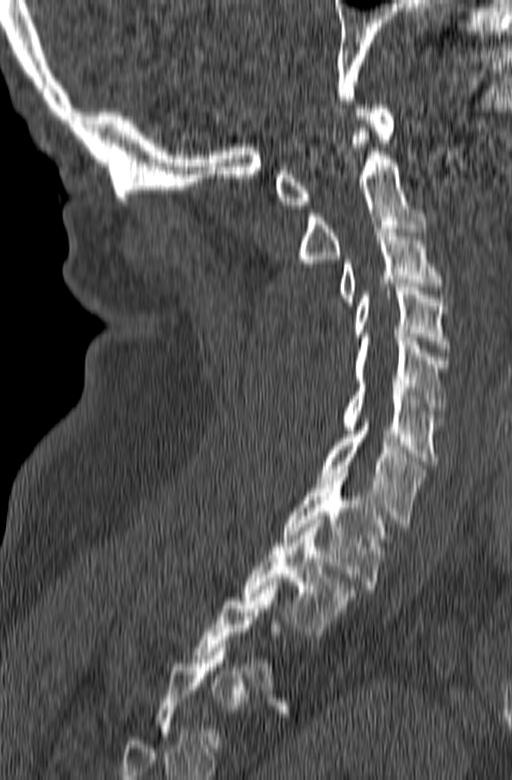

CT · image 165 mm wide · sagittal view · bone-window reconstruction. Boxes: x1 y1 x2 y2 (pixel coords, space-separated).
Not every vertebra on this slice has a box: a vertebra is boxed only from the first to the last slice where its cross-section is at least a third of its largest, and this slice is outside that range for at least one of them.
Vertebra bounding boxes:
- C1: 276 105 395 208
- C2: 298 132 426 267
- C3: 339 225 441 305
- C4: 355 283 449 352
- C5: 355 337 449 418
- C6: 342 380 444 464
- C7: 317 419 426 527
- T1: 283 473 388 592
- T2: 241 520 355 635